Spine computed tomography · image width 336 mm · sagittal plane, index 267 · W/L 1800/400 HU
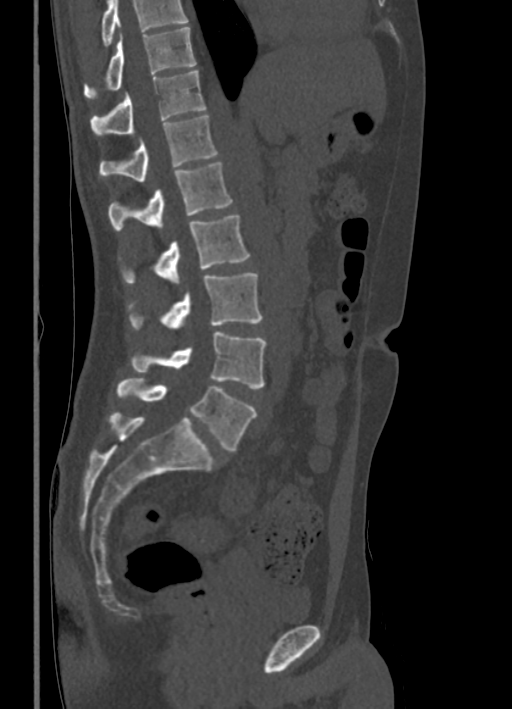 Boxes: x1 y1 x2 y2 (pixel coords, space-separated).
No box is given to a vertebra that the top edge of the scan cuts off.
T10: 84 27 195 98
T11: 90 70 206 136
T12: 99 115 218 181
L1: 108 161 232 231
L2: 122 215 250 284
L3: 128 273 262 330
L4: 131 332 266 388
L5: 117 378 256 450